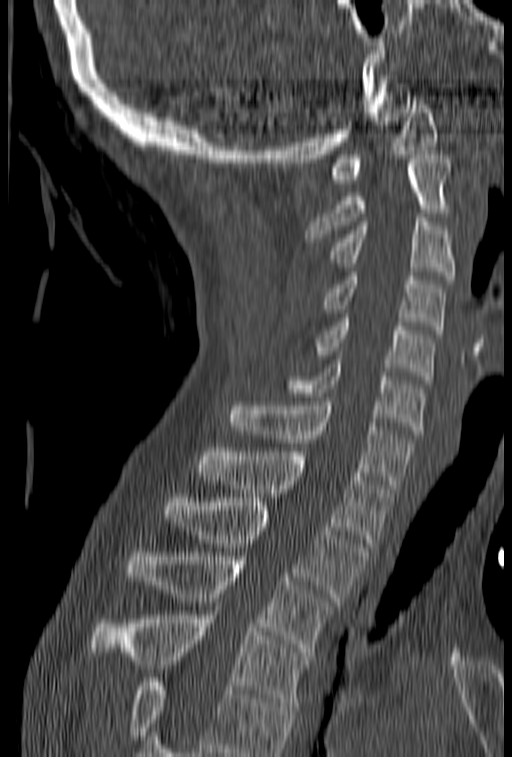 CT, spine · sagittal view · Bone window (WL 400, WW 1800)
Each box is [x1, y1, x2, y2] in pixels: top-left corner, then bottom-right corner.
Vertebrae that run past the bottom of the scan are left unlabeled.
{"vertebrae":{"T4":[90,602,312,706],"T3":[128,552,335,656],"T2":[164,502,368,601],"T1":[198,448,392,547],"C7":[229,397,412,488],"C6":[283,360,425,434],"C5":[314,314,435,380],"C4":[322,272,445,334],"C3":[326,213,455,279],"C2":[305,155,452,246],"C1":[331,96,437,183]}}